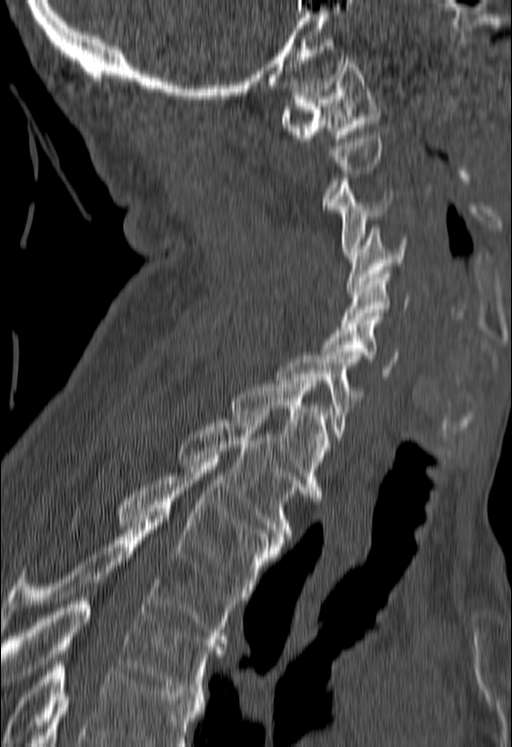 CT; sagittal view; W/L 1800/400 HU; 512x747 px. Boxes: x1 y1 x2 y2 (pixel coords, space-separated). Each vertebra is boxed only on the slices from the first to the last where its cross-section reaches a third of its largest, so a slice outside that range leaves it unboxed. No box is given to a vertebra that the bottom edge of the scan cuts off. The labeled vertebrae in this slice are: C1 at 280 60 380 141, C3 at 329 178 392 255, C4 at 347 228 407 291, C5 at 341 270 410 326, C6 at 321 316 398 379, C7 at 277 356 361 440, T1 at 231 380 332 497, T2 at 180 416 307 539, T3 at 120 459 282 596, T4 at 0 516 242 643, T5 at 1 597 225 696.